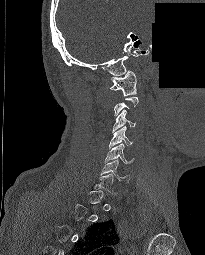 Spine CT; sagittal view; part of the image is constant black where the scan was masked
Coordinates as <box>x1,y1,x2,y2</box>.
Not every vertebra on this slice has a box: a vertebra is boxed only from the first to the last slice where its cross-section is at least a third of its largest, and this slice is outside that range for at least one of them.
Vertebra bounding boxes:
- C1: <box>110,70,136,95</box>
- C3: <box>112,109,135,132</box>
- C4: <box>109,126,134,150</box>
- C5: <box>104,143,134,163</box>
- C6: <box>100,159,130,182</box>